CT; 350 mm across the image; sagittal reformat; W/L 1800/400 HU
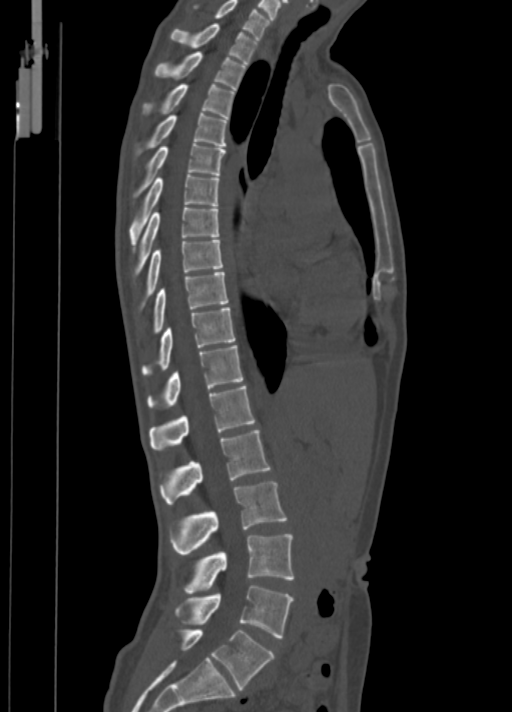

<vertebrae><v name="C7" x1="215" y1="0" x2="269" y2="38"/><v name="T1" x1="171" y1="23" x2="258" y2="63"/><v name="T2" x1="155" y1="51" x2="246" y2="90"/><v name="T3" x1="142" y1="83" x2="234" y2="117"/><v name="T4" x1="146" y1="113" x2="227" y2="148"/><v name="T5" x1="137" y1="143" x2="226" y2="194"/><v name="T6" x1="128" y1="174" x2="218" y2="245"/><v name="T7" x1="135" y1="206" x2="218" y2="274"/><v name="T8" x1="146" y1="240" x2="223" y2="294"/><v name="T9" x1="153" y1="272" x2="228" y2="333"/><v name="T10" x1="142" y1="307" x2="236" y2="375"/><v name="T11" x1="148" y1="345" x2="243" y2="407"/><v name="T12" x1="149" y1="385" x2="255" y2="450"/><v name="L1" x1="159" y1="430" x2="271" y2="505"/><v name="L2" x1="170" y1="481" x2="287" y2="553"/><v name="L3" x1="184" y1="534" x2="294" y2="593"/><v name="L4" x1="177" y1="585" x2="294" y2="638"/><v name="L5" x1="180" y1="629" x2="274" y2="689"/></vertebrae>